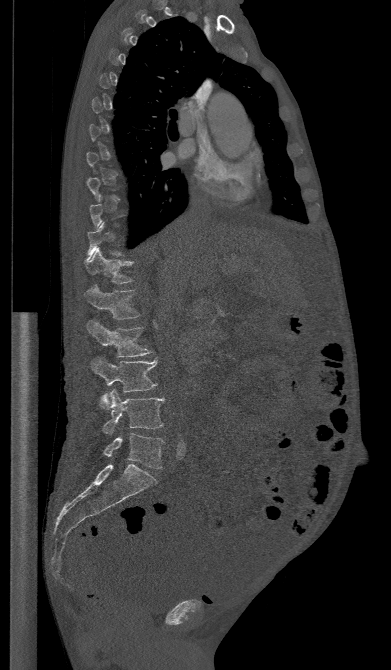
CT; sagittal view; image width 391 mm; W/L 1800/400 HU. In the table, x1 and y1 are a box's top-left corner and x2 and y2 its bottom-right corner, in pixels.
Not every vertebra on this slice has a box: a vertebra is boxed only from the first to the last slice where its cross-section is at least a third of its largest, and this slice is outside that range for at least one of them.
| vertebra | x1 | y1 | x2 | y2 |
|---|---|---|---|---|
| T12 | 85 | 249 | 133 | 284 |
| L1 | 84 | 286 | 139 | 319 |
| L2 | 87 | 320 | 151 | 357 |
| L3 | 91 | 357 | 157 | 409 |
| L4 | 103 | 389 | 164 | 434 |
| L5 | 103 | 433 | 164 | 468 |